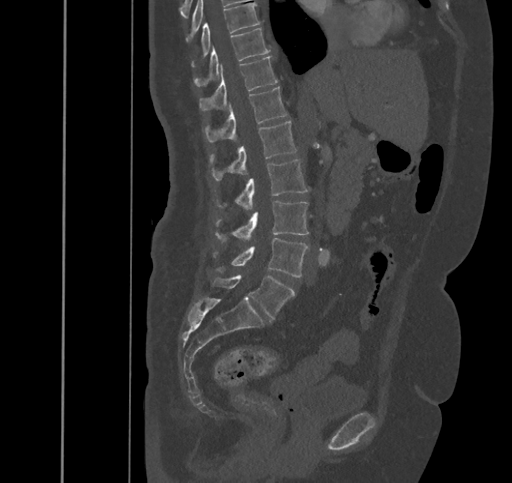
Spine CT · sagittal reformat · W/L 1800/400 HU
In the table, x1 and y1 are a box's top-left corner and x2 and y2 its bottom-right corner, in pixels.
| vertebra | x1 | y1 | x2 | y2 |
|---|---|---|---|---|
| L5 | 213 | 275 | 295 | 318 |
| L4 | 213 | 237 | 308 | 277 |
| L3 | 215 | 201 | 308 | 241 |
| L2 | 216 | 159 | 308 | 209 |
| L1 | 209 | 121 | 297 | 180 |
| T12 | 202 | 87 | 287 | 142 |
| T11 | 199 | 56 | 277 | 111 |
| T10 | 194 | 28 | 270 | 86 |
| T9 | 191 | 3 | 260 | 66 |